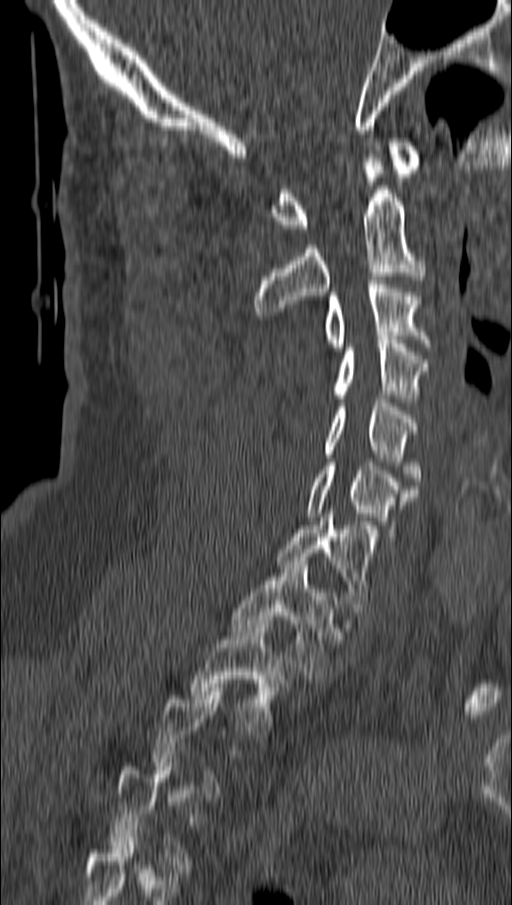

Computed tomography of the spine. 162 mm wide. sagittal reformat
In the table, x1 and y1 are a box's top-left corner and x2 and y2 its bottom-right corner, in pixels.
A vertebra is boxed only from the first to the last slice where its cross-section is at least a third of its largest; slices outside that range leave it without a box.
| vertebra | x1 | y1 | x2 | y2 |
|---|---|---|---|---|
| T2 | 191 | 620 | 285 | 734 |
| T1 | 232 | 561 | 335 | 679 |
| C7 | 276 | 514 | 373 | 607 |
| C6 | 308 | 462 | 417 | 540 |
| C5 | 323 | 399 | 420 | 485 |
| C4 | 333 | 336 | 427 | 402 |
| C3 | 323 | 280 | 430 | 351 |
| C2 | 254 | 154 | 424 | 315 |
| C1 | 273 | 138 | 422 | 232 |